Spine computed tomography — sagittal view
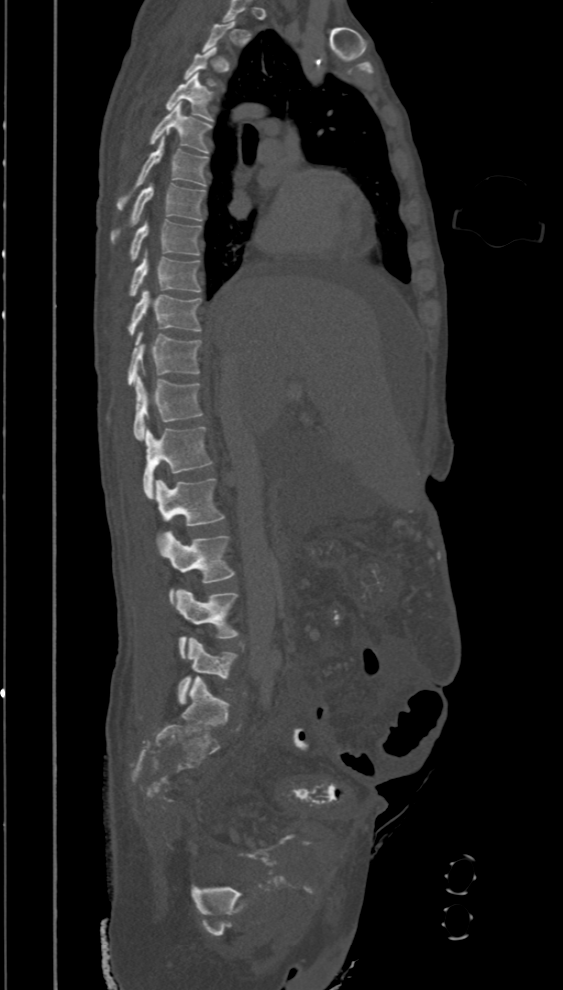

A vertebra is boxed only from the first to the last slice where its cross-section is at least a third of its largest; slices outside that range leave it without a box.
<vertebrae><v name="T4" x1="166" y1="73" x2="213" y2="121"/><v name="T5" x1="148" y1="102" x2="211" y2="154"/><v name="T6" x1="117" y1="136" x2="208" y2="209"/><v name="T7" x1="110" y1="183" x2="206" y2="244"/><v name="T8" x1="129" y1="220" x2="201" y2="261"/><v name="T9" x1="129" y1="253" x2="200" y2="296"/><v name="T10" x1="128" y1="289" x2="201" y2="335"/><v name="T11" x1="128" y1="331" x2="202" y2="386"/><v name="T12" x1="133" y1="376" x2="201" y2="439"/><v name="L1" x1="143" y1="426" x2="211" y2="498"/><v name="L2" x1="155" y1="479" x2="224" y2="525"/><v name="L3" x1="156" y1="530" x2="234" y2="604"/><v name="L4" x1="176" y1="587" x2="239" y2="658"/><v name="L5" x1="176" y1="637" x2="238" y2="705"/></vertebrae>